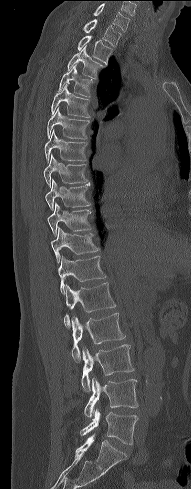 CT, spine. sagittal view. image width 191 mm
Each box given as x1,y1,x2,y2.
Vertebra bounding boxes:
- L5: x1=80, y1=410, x2=138, y2=444
- L4: x1=84, y1=377, x2=138, y2=418
- L3: x1=81, y1=344, x2=134, y2=392
- L2: x1=69, y1=313, x2=125, y2=362
- L1: x1=64, y1=282, x2=116, y2=328
- T12: x1=58, y1=256, x2=106, y2=293
- T11: x1=51, y1=227, x2=100, y2=263
- T10: x1=47, y1=202, x2=92, y2=235
- T9: x1=45, y1=179, x2=90, y2=209
- T8: x1=43, y1=155, x2=89, y2=186
- T7: x1=44, y1=130, x2=87, y2=162
- T6: x1=47, y1=107, x2=90, y2=139
- T5: x1=51, y1=84, x2=91, y2=117
- T4: x1=59, y1=65, x2=97, y2=97
- T3: x1=68, y1=47, x2=103, y2=79
- T2: x1=77, y1=35, x2=113, y2=63
- T1: x1=82, y1=19, x2=122, y2=46
- C7: x1=93, y1=3, x2=129, y2=31